CT spine — Sagittal slice 276/512 — bone-window reconstruction — 512x905 px — 11 vertebrae labeled in this scan
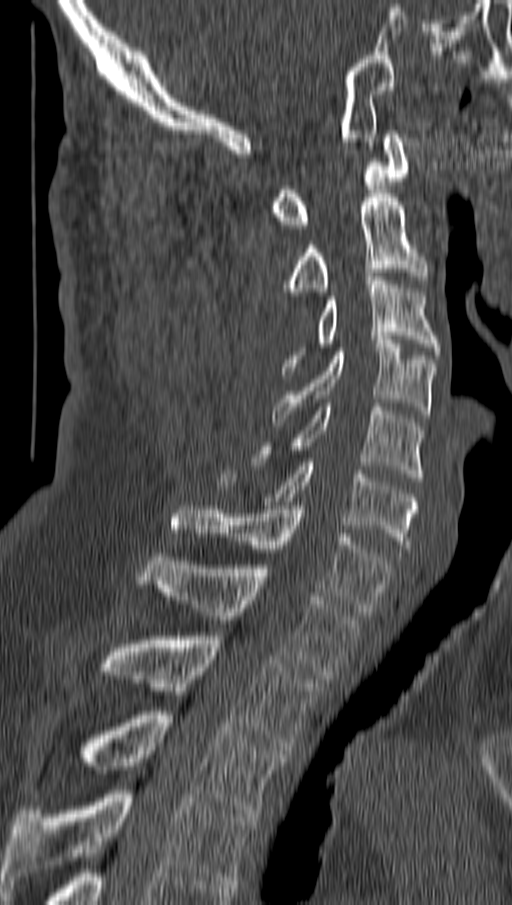
Boxes: x1:y1:x2:y2 in pixels.
Vertebra bounding boxes:
- C1: 270:130:410:228
- C2: 286:194:427:295
- C3: 282:273:439:374
- C4: 273:336:436:426
- C5: 257:403:424:481
- C6: 218:462:417:552
- C7: 172:506:392:615
- T1: 140:553:357:679
- T2: 96:636:319:754
- T3: 83:711:285:817
- T4: 3:790:256:888